CT spine. sagittal plane, index 91. bone-window reconstruction. 346x705 px
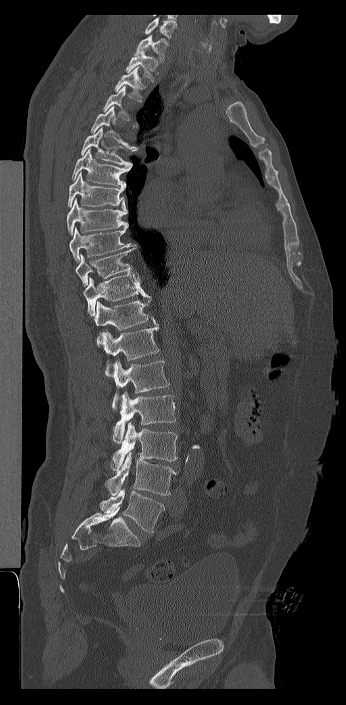
Each row gives a vertebra's box as x1, y1, x2, y2 in pixels: top-left corner, then bottom-right corner.
Not every vertebra on this slice has a box: a vertebra is boxed only from the first to the last slice where its cross-section is at least a third of its largest, and this slice is outside that range for at least one of them.
Labels in this scan begin with C7 at the top and end with L6 at the bottom.
These labels give the spine a sixth lumbar vertebra, L6, below L5.
| vertebra | x1 | y1 | x2 | y2 |
|---|---|---|---|---|
| C7 | 134 | 34 | 167 | 61 |
| T1 | 125 | 49 | 158 | 81 |
| T2 | 114 | 67 | 147 | 102 |
| T4 | 90 | 106 | 135 | 149 |
| T5 | 81 | 127 | 138 | 166 |
| T6 | 72 | 148 | 131 | 187 |
| T7 | 67 | 172 | 125 | 207 |
| T8 | 67 | 198 | 128 | 235 |
| T9 | 69 | 226 | 133 | 262 |
| T10 | 75 | 245 | 139 | 286 |
| T11 | 83 | 273 | 149 | 315 |
| T12 | 93 | 297 | 155 | 346 |
| L1 | 101 | 324 | 159 | 376 |
| L2 | 112 | 360 | 169 | 409 |
| L3 | 113 | 391 | 175 | 443 |
| L4 | 111 | 421 | 177 | 470 |
| L5 | 104 | 451 | 177 | 495 |
| L6 | 100 | 488 | 165 | 533 |